CT spine; sagittal reformat; 195 mm wide; bone window; 20 vertebrae labeled in this scan
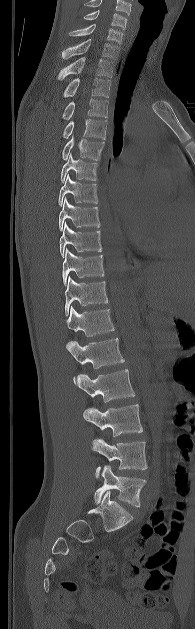
Labels in this scan begin with C5 at the top and end with L5 at the bottom.
<vertebrae><v name="C5" x1="83" y1="10" x2="127" y2="29"/><v name="C6" x1="69" y1="24" x2="123" y2="43"/><v name="C7" x1="62" y1="39" x2="119" y2="59"/><v name="T1" x1="58" y1="57" x2="113" y2="79"/><v name="T2" x1="63" y1="77" x2="110" y2="97"/><v name="T3" x1="62" y1="98" x2="107" y2="119"/><v name="T4" x1="62" y1="119" x2="106" y2="139"/><v name="T5" x1="62" y1="136" x2="104" y2="160"/><v name="T6" x1="60" y1="154" x2="98" y2="183"/><v name="T7" x1="58" y1="174" x2="97" y2="205"/><v name="T8" x1="58" y1="197" x2="100" y2="230"/><v name="T9" x1="59" y1="221" x2="102" y2="256"/><v name="T10" x1="62" y1="249" x2="104" y2="286"/><v name="T11" x1="65" y1="276" x2="108" y2="316"/><v name="T12" x1="66" y1="306" x2="114" y2="349"/><v name="L1" x1="68" y1="338" x2="124" y2="381"/><v name="L2" x1="74" y1="369" x2="134" y2="402"/><v name="L3" x1="83" y1="404" x2="142" y2="436"/><v name="L4" x1="91" y1="438" x2="147" y2="477"/><v name="L5" x1="94" y1="465" x2="146" y2="507"/></vertebrae>